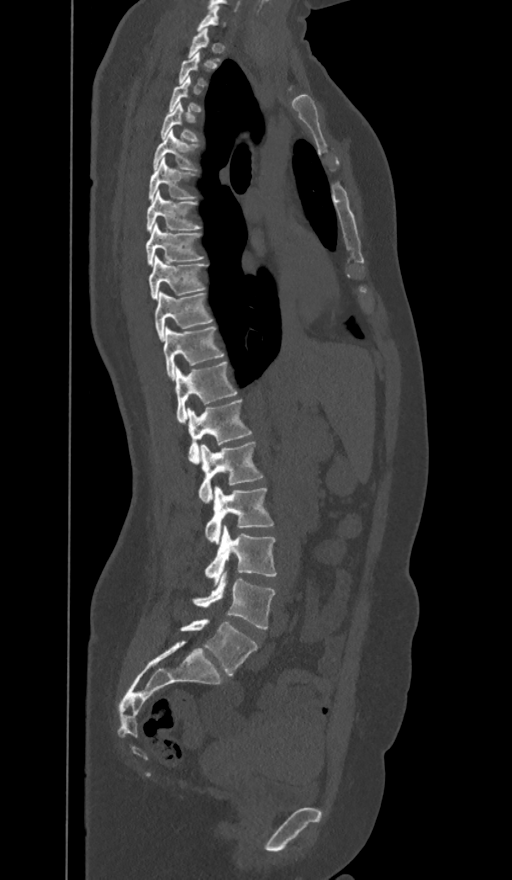
CT. sagittal view. image width 374 mm. W/L 1800/400 HU. Each box given as x1,y1,x2,y2.
Each vertebra is boxed only on the slices from the first to the last where its cross-section reaches a third of its largest, so a slice outside that range leaves it unboxed.
These labels give the spine a sixth lumbar vertebra, L6, below L5.
| vertebra | x1 | y1 | x2 | y2 |
|---|---|---|---|---|
| C7 | 197 | 5 | 223 | 31 |
| T3 | 168 | 76 | 201 | 111 |
| T4 | 160 | 102 | 197 | 141 |
| T5 | 152 | 129 | 198 | 170 |
| T6 | 148 | 158 | 196 | 200 |
| T7 | 146 | 190 | 200 | 232 |
| T8 | 146 | 223 | 203 | 265 |
| T9 | 149 | 258 | 206 | 300 |
| T10 | 155 | 292 | 212 | 340 |
| T11 | 163 | 327 | 223 | 380 |
| T12 | 175 | 361 | 237 | 423 |
| L1 | 187 | 399 | 251 | 462 |
| L2 | 198 | 442 | 263 | 503 |
| L3 | 205 | 487 | 274 | 544 |
| L4 | 205 | 525 | 277 | 584 |
| L5 | 193 | 572 | 274 | 629 |
| L6 | 181 | 620 | 258 | 677 |